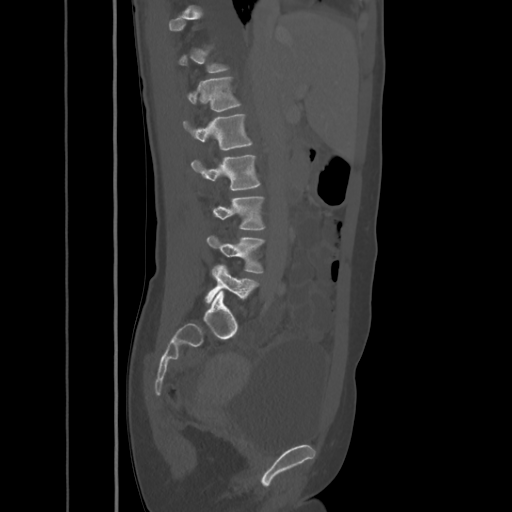
CT, spine — sagittal view
Each box given as x1,y1,x2,y2.
Not every vertebra on this slice has a box: a vertebra is boxed only from the first to the last slice where its cross-section is at least a third of its largest, and this slice is outside that range for at least one of them.
Vertebra bounding boxes:
- T12: x1=188, y1=77, x2=240, y2=111
- L1: x1=183, y1=115, x2=252, y2=150
- L2: x1=190, y1=154, x2=259, y2=191
- L3: x1=213, y1=196, x2=264, y2=229
- L4: x1=206, y1=235, x2=264, y2=273
- L5: x1=205, y1=265, x2=258, y2=303